CT spine — sagittal reformat — 526x900 px — the image is 473 mm wide — scan covers 25 annotated vertebrae — a region is masked with a constant gray value
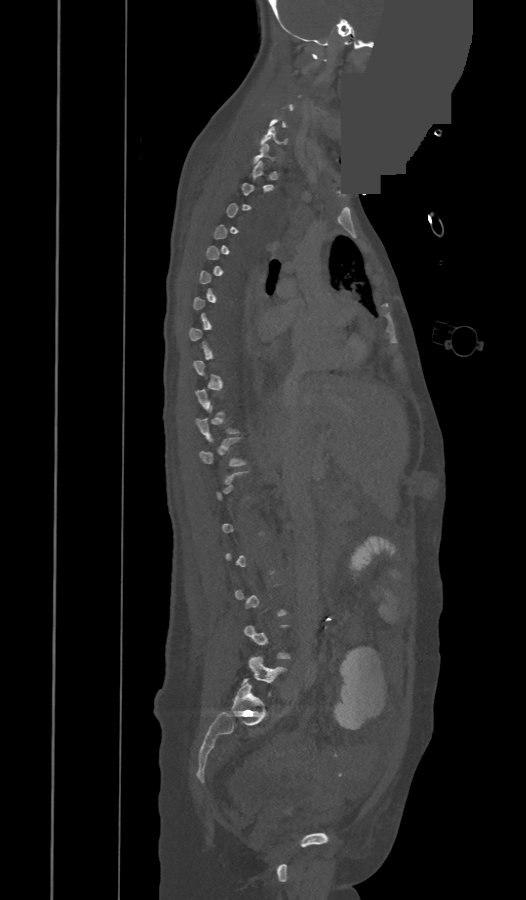 Boxes are (x1, y1, x2, y2) in pixels.
A vertebra is boxed only from the first to the last slice where its cross-section is at least a third of its largest; slices outside that range leave it without a box.
C6: (261, 127, 286, 145)
C7: (255, 145, 274, 162)
L5: (248, 657, 283, 682)